Spine computed tomography — sagittal reformat — 208x543 px — 17 vertebrae labeled in this scan
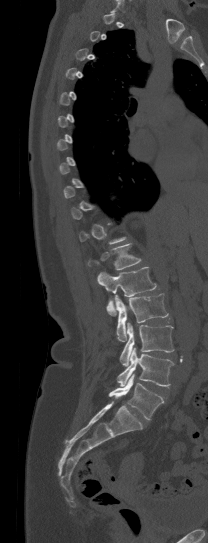

Box edges are left/top/right/bottom in pixels.
A vertebra is boxed only from the first to the last slice where its cross-section is at least a third of its largest; slices outside that range leave it without a box.
| vertebra | x1 | y1 | x2 | y2 |
|---|---|---|---|---|
| T12 | 88 | 243 | 140 | 270 |
| L1 | 98 | 267 | 156 | 315 |
| L2 | 115 | 293 | 168 | 341 |
| L3 | 120 | 323 | 173 | 365 |
| L4 | 116 | 347 | 173 | 386 |
| L5 | 108 | 374 | 163 | 419 |